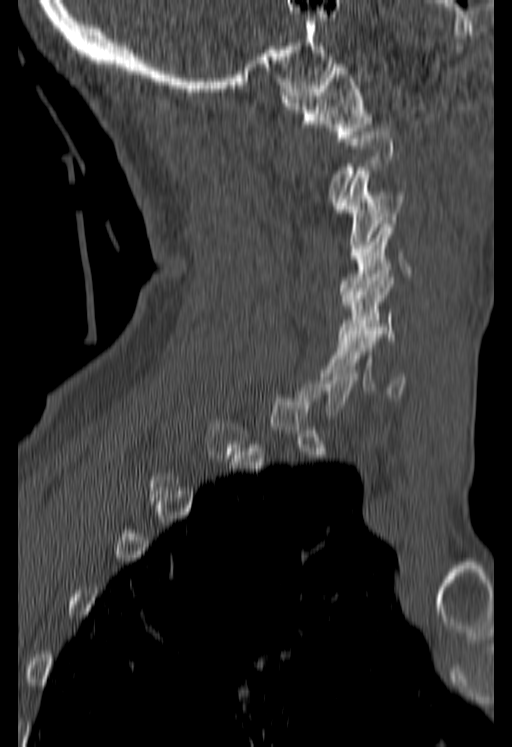

CT, spine; 180 mm image width; sagittal view
Boxes: x1:y1:x2:y2 in pixels. A vertebra gets a box only on the slices from the first to the last where its cross-section is at least a third of its largest; on a slice outside that range it gets none. The labeled vertebrae in this slice are: C1 at 280:60:371:141, C3 at 334:171:401:259, C4 at 339:220:412:301, C5 at 337:274:394:340, C6 at 326:331:404:397.